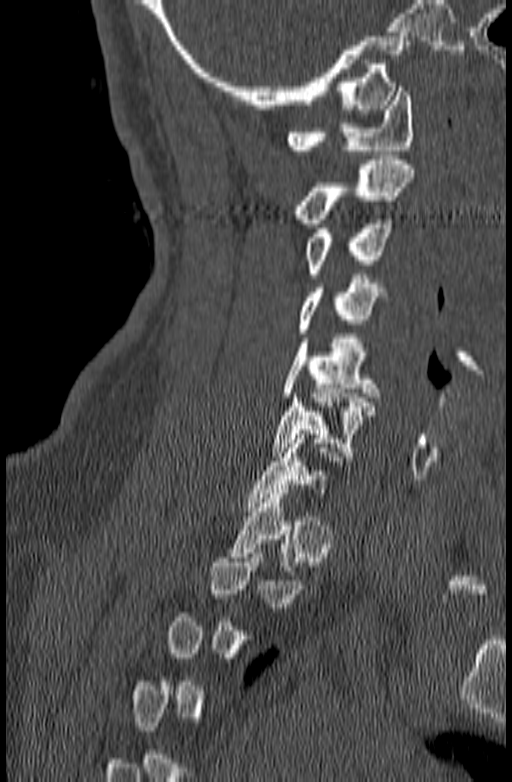
CT spine. sagittal view. bone-window reconstruction
Box edges are left/top/right/bottom in pixels.
Each vertebra is boxed only on the slices from the first to the last where its cross-section reaches a third of its largest, so a slice outside that range leaves it unboxed.
Vertebra bounding boxes:
- C7: left=244, top=434, right=352, bottom=511
- C6: left=271, top=389, right=376, bottom=456
- C5: left=282, top=334, right=377, bottom=397
- C4: left=298, top=274, right=386, bottom=333
- C3: left=305, top=219, right=391, bottom=278
- C2: left=294, top=160, right=416, bottom=223
- C1: left=286, top=87, right=414, bottom=154